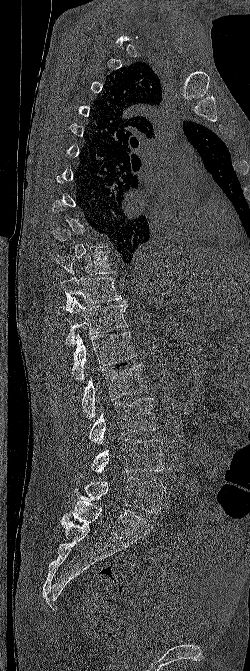

Spine computed tomography. sagittal view. the image is 250 mm wide

Each vertebra maps to its box as [x1, y1, x2, y2], the pixel coordinates of its top-left and bottom-right corners.
A vertebra is boxed only from the first to the last slice where its cross-section is at least a third of its largest; slices outside that range leave it without a box.
{"vertebrae":{"L5":[75,476,165,513],"L4":[78,438,165,476],"L3":[89,397,159,444],"L2":[81,364,145,421],"L1":[71,331,136,381],"T12":[58,298,127,346],"T11":[60,276,128,309],"T10":[54,251,115,275]}}